Spine CT; sagittal reformat
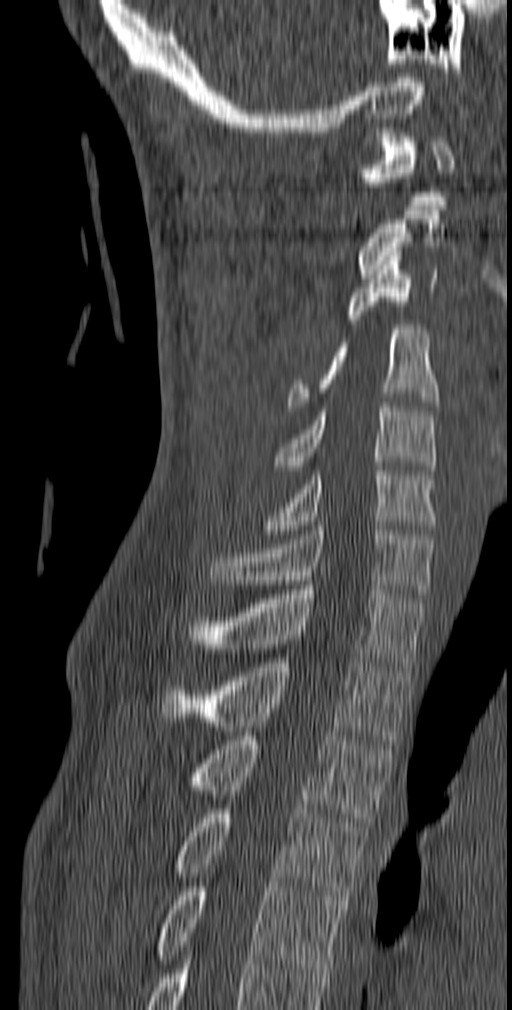
Each box is [x1, y1, x2, y2] in pixels: top-left corner, then bottom-right corner.
{"vertebrae":{"T5":[157,882,344,973],"T4":[172,809,367,900],"T3":[188,736,392,826],"T2":[161,658,412,740],"T1":[187,585,425,671],"C7":[208,526,434,598],"C6":[265,466,436,534],"C5":[275,407,436,474],"C4":[287,325,439,410],"C3":[345,251,437,324],"C2":[356,210,445,278],"C1":[360,133,454,205]}}